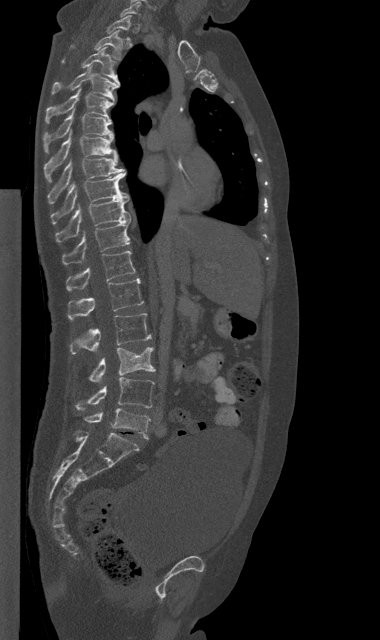

CT, spine — sagittal view — 380x640 px — the image is 380 mm wide

Coordinates as <box>x1,y1,x2,y2</box>. Vertebrae labeled: C7 at <box>121,1,140,16</box>, T1 at <box>106,15,132,39</box>, T2 at <box>70,30,121,59</box>, T3 at <box>62,47,119,84</box>, T4 at <box>51,66,119,99</box>, T5 at <box>45,88,113,123</box>, T6 at <box>42,109,113,152</box>, T7 at <box>44,131,117,182</box>, T8 at <box>48,157,126,202</box>, T9 at <box>51,172,129,223</box>, T10 at <box>55,198,131,242</box>, T11 at <box>62,220,130,264</box>, T12 at <box>66,251,135,291</box>, L1 at <box>68,278,143,319</box>, L2 at <box>70,313,151,354</box>, L3 at <box>89,347,155,383</box>, L4 at <box>75,377,154,409</box>, L5 at <box>84,408,150,439</box>.